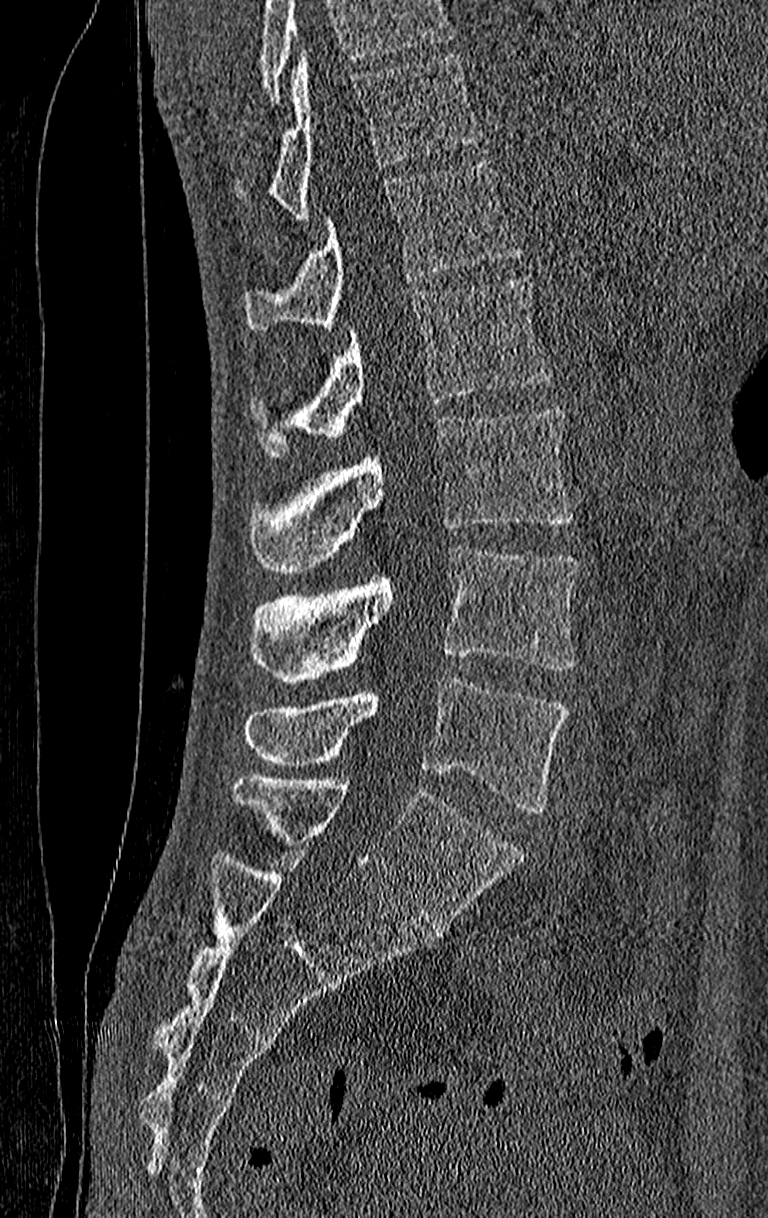

Computed tomography of the spine · sagittal view

Box edges are left/top/right/bottom in pixels.
No box is given to a vertebra that the top edge of the scan cuts off.
Labels in this scan begin with T11 at the top and end with L4 at the bottom.
| vertebra | x1 | y1 | x2 | y2 |
|---|---|---|---|---|
| T11 | 236 | 53 | 480 | 220 |
| T12 | 244 | 161 | 521 | 330 |
| L1 | 251 | 278 | 554 | 457 |
| L2 | 251 | 406 | 572 | 573 |
| L3 | 251 | 546 | 579 | 684 |
| L4 | 244 | 678 | 568 | 812 |